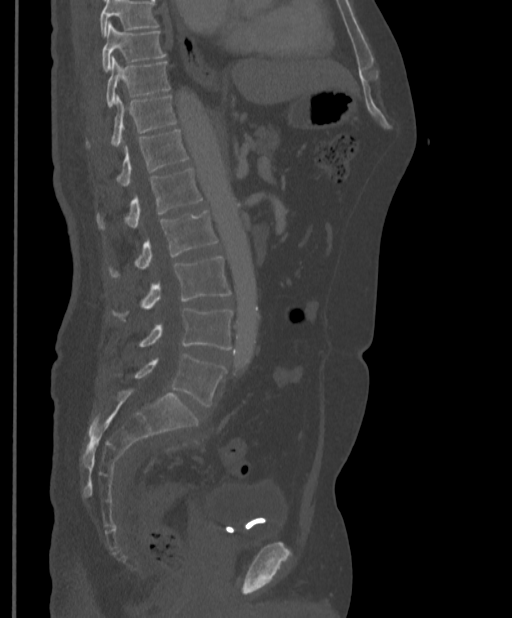
CT spine; sagittal view; W/L 1800/400 HU. Boxes: x1:y1:x2:y2 in pixels.
No box is given to a vertebra that the top edge of the scan cuts off.
Vertebra bounding boxes:
- T9: 102:22:167:73
- T10: 106:57:170:107
- T11: 86:95:177:147
- T12: 116:129:188:186
- L1: 97:168:203:230
- L2: 108:210:218:278
- L3: 112:257:231:321
- L4: 138:308:232:350
- L5: 133:353:226:407